Computed tomography of the spine · sagittal reformat · bone window · 512x789 px
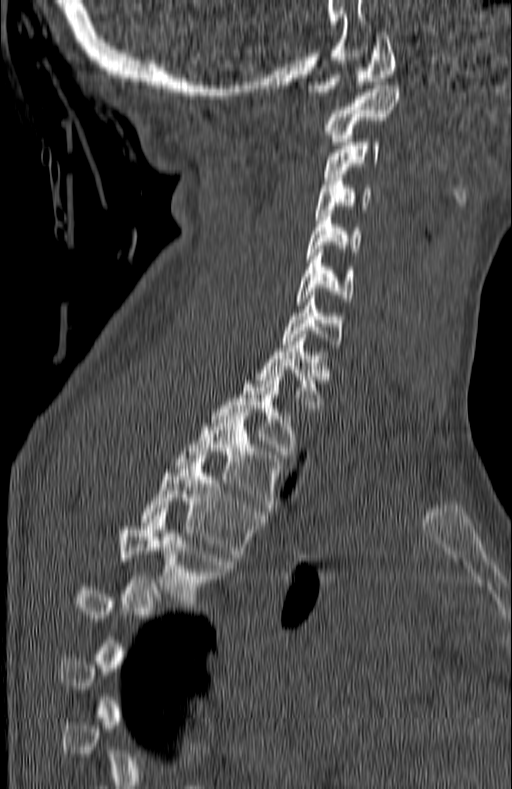
Not every vertebra on this slice has a box: a vertebra is boxed only from the first to the last slice where its cross-section is at least a third of its largest, and this slice is outside that range for at least one of them.
<vertebrae><v name="T5" x1="118" y1="512" x2="233" y2="607"/><v name="T4" x1="141" y1="459" x2="262" y2="557"/><v name="T3" x1="174" y1="412" x2="282" y2="511"/><v name="T2" x1="211" y1="373" x2="299" y2="454"/><v name="T1" x1="256" y1="334" x2="330" y2="411"/><v name="C7" x1="283" y1="299" x2="341" y2="347"/><v name="C6" x1="297" y1="249" x2="353" y2="305"/><v name="C5" x1="306" y1="213" x2="361" y2="259"/><v name="C4" x1="315" y1="174" x2="370" y2="219"/><v name="C3" x1="324" y1="139" x2="381" y2="180"/><v name="C2" x1="325" y1="85" x2="398" y2="141"/><v name="C1" x1="306" y1="32" x2="395" y2="95"/></vertebrae>